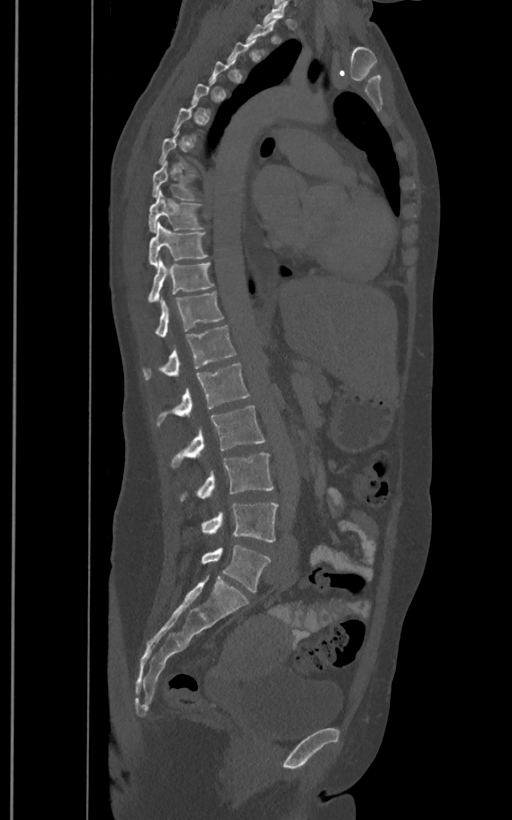
CT, spine · sagittal view · bone window · 400 mm across the image
Boxes are (x1, y1, x2, y2) in pixels.
A vertebra is boxed only from the first to the last slice where its cross-section is at least a third of its largest; slices outside that range leave it without a box.
In these labels the spine has an L6, a sixth lumbar vertebra below L5.
Vertebra bounding boxes:
- T8: (151, 161, 195, 199)
- T9: (148, 190, 202, 232)
- T10: (148, 222, 207, 267)
- T11: (147, 258, 214, 302)
- T12: (155, 291, 223, 337)
- L1: (143, 325, 236, 380)
- L2: (156, 363, 250, 425)
- L3: (170, 406, 265, 468)
- L4: (179, 453, 274, 500)
- L5: (202, 503, 278, 542)
- L6: (201, 545, 270, 591)